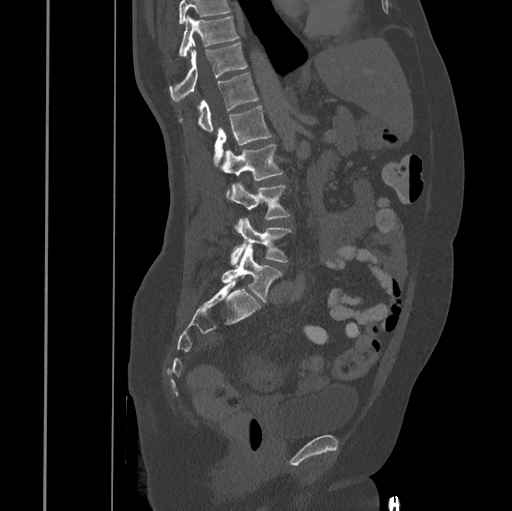 CT, spine — sagittal reformat
Box edges are left/top/right/bottom in pixels.
Where the top of the scan cuts through a vertebra, that vertebra gets no label or box.
L5: left=221, top=244, right=282, bottom=301
L4: left=230, top=217, right=291, bottom=266
L3: left=231, top=182, right=291, bottom=219
L2: left=220, top=144, right=283, bottom=199
L1: left=213, top=106, right=272, bottom=166
T12: left=178, top=72, right=258, bottom=132
T11: left=169, top=42, right=246, bottom=100
T10: left=179, top=16, right=238, bottom=56